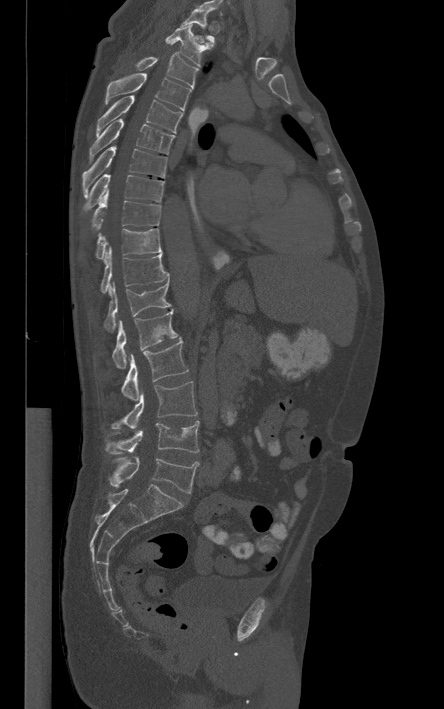
CT, spine · sagittal reformat · 444x709 px

Each box given as x1,y1,x2,y2.
| vertebra | x1 | y1 | x2 | y2 |
|---|---|---|---|---|
| L5 | 109 | 457 | 199 | 493 |
| L4 | 106 | 421 | 199 | 454 |
| L3 | 112 | 382 | 197 | 428 |
| L2 | 121 | 339 | 188 | 400 |
| L1 | 112 | 310 | 177 | 368 |
| T12 | 104 | 281 | 170 | 331 |
| T11 | 101 | 245 | 169 | 293 |
| T10 | 96 | 229 | 162 | 259 |
| T9 | 92 | 192 | 161 | 229 |
| T8 | 84 | 174 | 163 | 211 |
| T7 | 82 | 145 | 167 | 198 |
| T6 | 89 | 119 | 174 | 160 |
| T5 | 95 | 94 | 182 | 135 |
| T4 | 106 | 73 | 191 | 112 |
| T3 | 135 | 52 | 198 | 88 |
| T2 | 164 | 23 | 212 | 66 |
| T1 | 180 | 9 | 214 | 42 |